CT spine · sagittal plane, index 356 · W/L 1800/400 HU
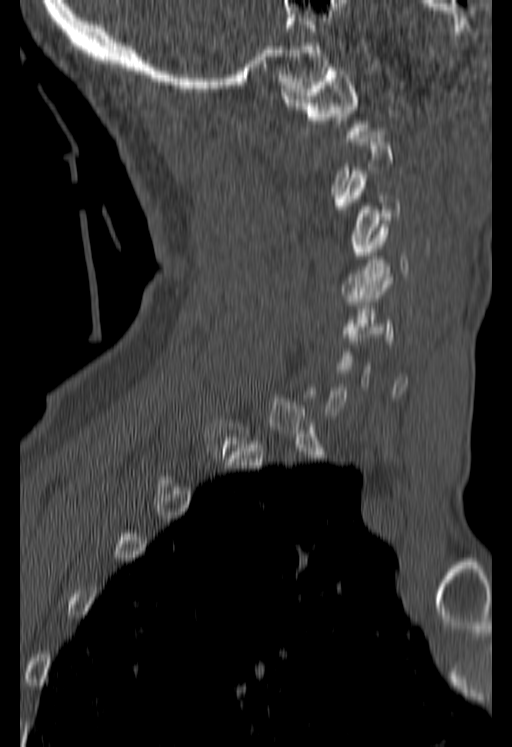
Boxes: x1:y1:x2:y2 in pixels. Each vertebra is boxed only on the slices from the first to the last where its cross-section reaches a third of its largest, so a slice outside that range leaves it unboxed. The labeled vertebrae in this slice are: C1 at 283:68:369:141, C3 at 335:171:398:255, C4 at 342:224:408:301.